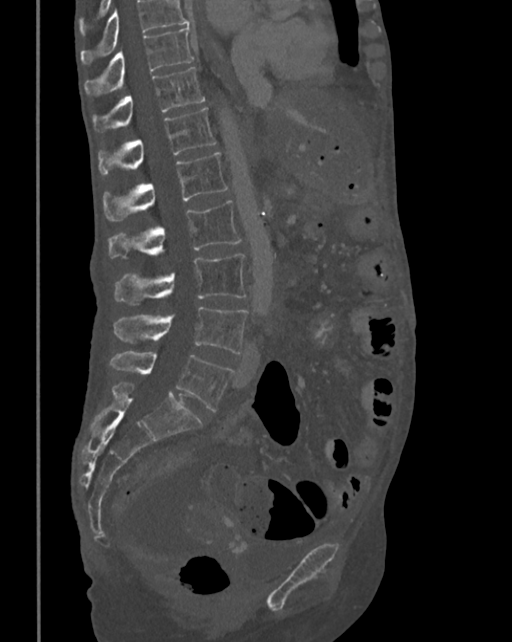 Spine computed tomography; sagittal view; 512x642 px; 342 mm image width

Each row gives a vertebra's box as x1, y1, x2, y2 in pixels: top-left corner, then bottom-right corner.
Vertebrae that run past the top of the scan are left unlabeled.
| vertebra | x1 | y1 | x2 | y2 |
|---|---|---|---|---|
| T10 | 84 | 25 | 193 | 96 |
| T11 | 93 | 66 | 205 | 133 |
| T12 | 99 | 108 | 216 | 177 |
| L1 | 103 | 152 | 228 | 221 |
| L2 | 108 | 201 | 241 | 259 |
| L3 | 114 | 254 | 246 | 305 |
| L4 | 114 | 307 | 247 | 354 |
| L5 | 111 | 351 | 232 | 411 |